Computed tomography of the spine. sagittal plane, index 238. W/L 1800/400 HU
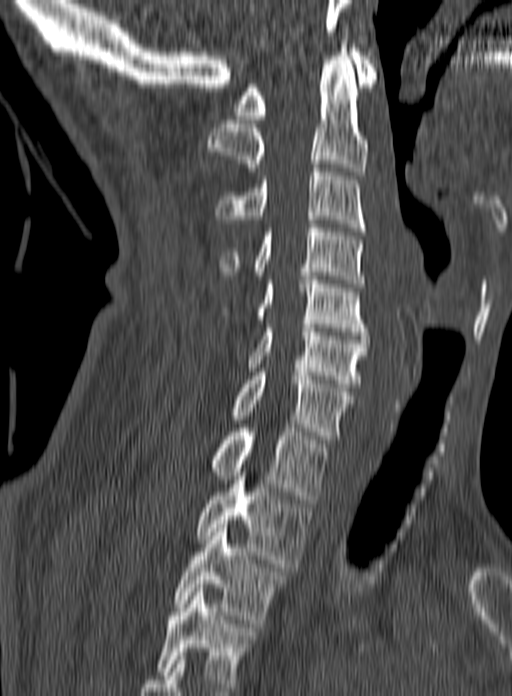 Labels in this scan begin with C1 at the top and end with T3 at the bottom.
<vertebrae><v name="C1" x1="234" y1="48" x2="377" y2="119"/><v name="C2" x1="206" y1="44" x2="369" y2="175"/><v name="C3" x1="214" y1="164" x2="365" y2="231"/><v name="C4" x1="219" y1="224" x2="365" y2="287"/><v name="C5" x1="221" y1="272" x2="368" y2="335"/><v name="C6" x1="248" y1="324" x2="369" y2="387"/><v name="C7" x1="231" y1="372" x2="353" y2="443"/><v name="T1" x1="209" y1="424" x2="330" y2="503"/><v name="T2" x1="193" y1="468" x2="311" y2="567"/><v name="T3" x1="174" y1="524" x2="288" y2="627"/></vertebrae>